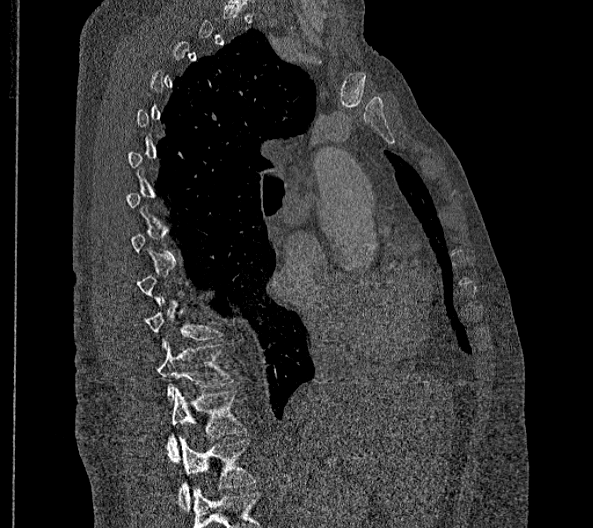 Computed tomography of the spine · sagittal reformat

Boxes below are [x1, y1, x2, y2] in pixels.
A vertebra is boxed only from the first to the last slice where its cross-section is at least a third of its largest; slices outside that range leave it without a box.
These labels give this spine no T12: after T11 the next vertebra is L1.
{"vertebrae":{"T10":[145,298,221,348],"T11":[155,342,234,402],"L1":[167,388,247,461],"L2":[178,438,255,512]}}